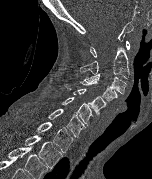 CT. sagittal view. 152x179 px

Each box is [x1, y1, x2, y2] in pixels: top-left corner, then bottom-right corner.
{"vertebrae":{"T2":[25,134,63,169],"T1":[17,117,73,152],"C7":[48,109,85,137],"C6":[61,97,93,125],"C5":[65,86,106,115],"C4":[79,79,117,102],"C3":[85,73,126,96],"C2":[79,46,129,78],"C1":[90,40,130,57]}}